Computed tomography of the spine; sagittal plane, index 78; Bone window (WL 400, WW 1800); 512x1190 px; part of the image has been replaced by a constant value
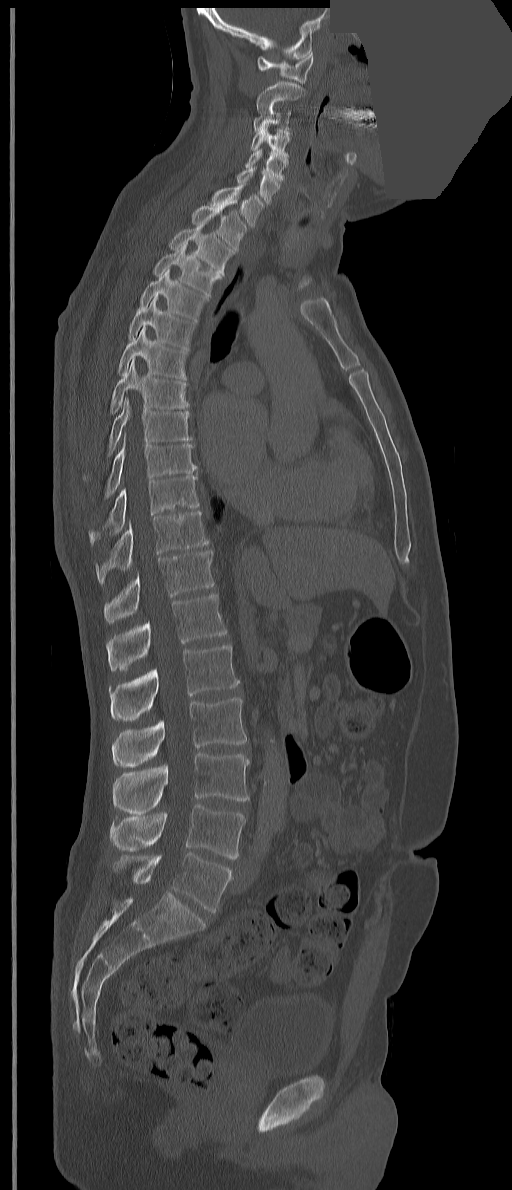 Bounding boxes as [x1, y1, x2, y2] in pixel coordinates. In these labels the spine has a T13, a thirteenth thoracic vertebra, between T12 and L1. The labeled vertebrae in this slice are: C1 at [257, 51, 313, 83], C2 at [256, 82, 304, 113], C3 at [254, 104, 291, 131], C4 at [250, 125, 291, 157], C5 at [245, 148, 288, 181], C6 at [237, 166, 279, 204], C7 at [208, 182, 264, 227], T1 at [191, 200, 246, 251], T2 at [168, 223, 234, 275], T3 at [153, 241, 221, 296], T4 at [139, 268, 209, 323], T5 at [128, 294, 195, 351], T6 at [117, 326, 187, 380], T7 at [110, 358, 189, 413], T8 at [83, 397, 192, 479], T9 at [105, 436, 196, 498], T10 at [89, 473, 199, 545], T11 at [95, 511, 209, 584], T12 at [104, 550, 214, 622], T13 at [107, 594, 227, 670], L1 at [109, 645, 238, 720], L2 at [111, 697, 246, 766], L3 at [113, 753, 249, 813], L4 at [110, 804, 246, 858], L5 at [112, 852, 231, 912].